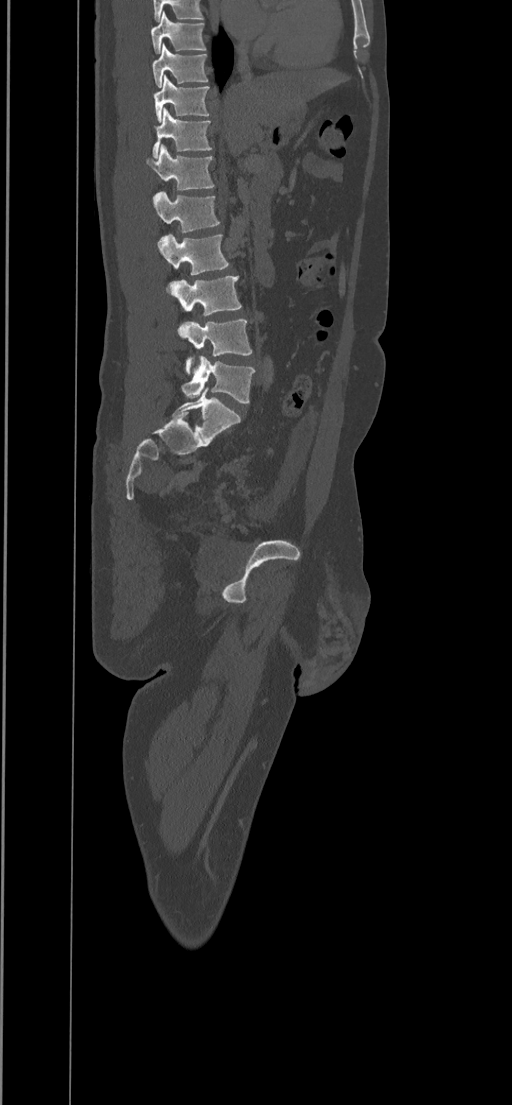

Spine CT. sagittal reformat. bone window. 512x1105 px

Box edges are left/top/right/bottom in pixels.
In this scan, the topmost labeled vertebra is T8 and the lowest is L5.
| vertebra | x1 | y1 | x2 | y2 |
|---|---|---|---|---|
| T8 | 151 | 12 | 205 | 54 |
| T9 | 152 | 44 | 208 | 88 |
| T10 | 153 | 75 | 209 | 122 |
| T11 | 153 | 106 | 211 | 157 |
| T12 | 146 | 144 | 214 | 190 |
| L1 | 152 | 191 | 220 | 233 |
| L2 | 158 | 234 | 229 | 292 |
| L3 | 170 | 276 | 241 | 315 |
| L4 | 178 | 319 | 251 | 374 |
| L5 | 181 | 355 | 255 | 402 |